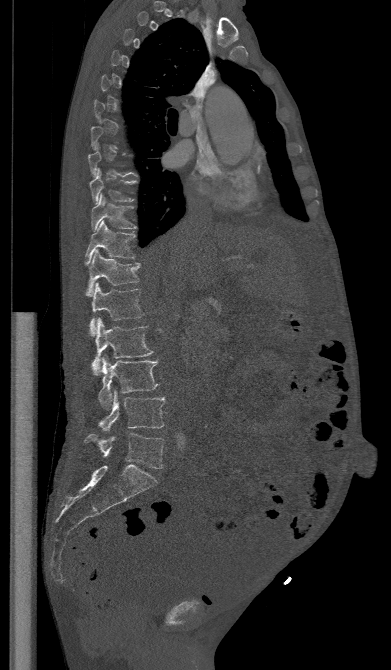

CT spine · sagittal reformat · Bone window (WL 400, WW 1800)

Box edges are left/top/right/bottom in pixels.
A vertebra gets a box only on the slices from the first to the last where its cross-section is at least a third of its largest; on a slice outside that range it gets none.
T9: left=89, top=169, right=136, bottom=203
T10: left=91, top=194, right=137, bottom=230
T11: left=85, top=221, right=135, bottom=263
T12: left=86, top=249, right=141, bottom=296
L1: left=90, top=282, right=144, bottom=335
L2: left=89, top=317, right=153, bottom=374
L3: left=98, top=355, right=158, bottom=410
L4: left=98, top=390, right=164, bottom=432
L5: left=85, top=433, right=164, bottom=468